CT, spine · sagittal view · 512x478 px · 461 mm image width · scan covers 8 annotated vertebrae
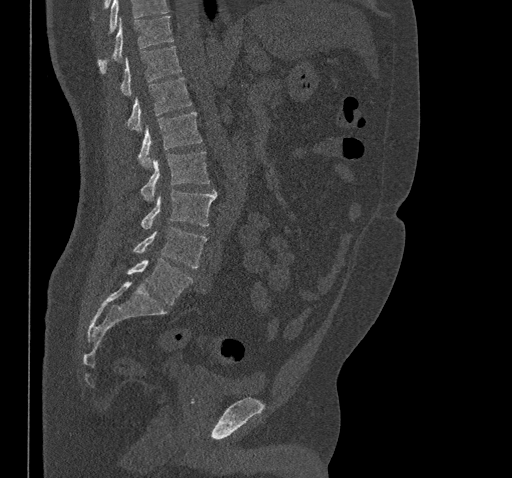
Box edges are left/top/right/bottom in pixels. Vertebrae that run past the top of the scan are left unlabeled. Vertebrae labeled: L5 at left=128, top=258, right=192, bottom=305, L4 at left=133, top=227, right=207, bottom=268, L3 at left=141, top=189, right=216, bottom=228, L2 at left=141, top=151, right=209, bottom=201, L1 at left=138, top=111, right=202, bottom=168, T12 at left=127, top=77, right=192, bottom=131, T11 at left=121, top=46, right=181, bottom=95, T10 at left=98, top=16, right=173, bottom=74.